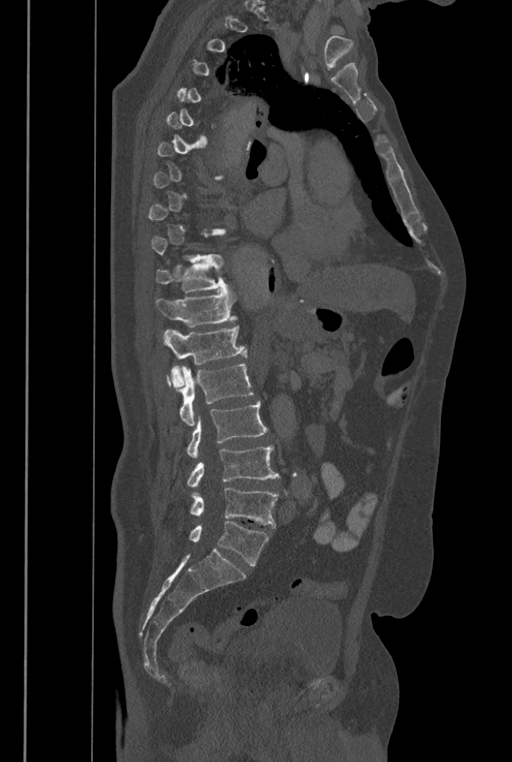 Spine computed tomography; sagittal view. Each box given as x1,y1,x2,y2.
A vertebra is boxed only from the first to the last slice where its cross-section is at least a third of its largest; slices outside that range leave it without a box.
The labels name a sixth lumbar vertebra for this spine: L6, after L5.
T11: x1=156, y1=257, x2=231, y2=292
T12: x1=156, y1=291, x2=237, y2=327
L1: x1=163, y1=326, x2=247, y2=386
L2: x1=166, y1=363, x2=254, y2=425
L3: x1=187, y1=401, x2=268, y2=458
L4: x1=186, y1=445, x2=280, y2=487
L5: x1=189, y1=487, x2=278, y2=526
L6: x1=188, y1=522, x2=269, y2=565